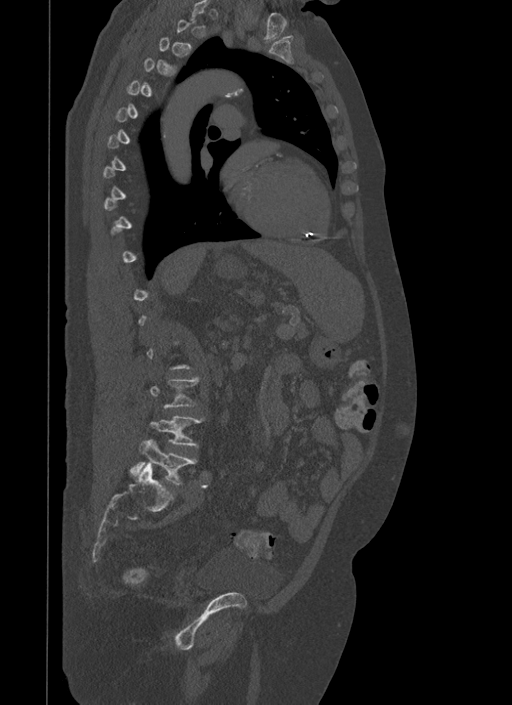

Computed tomography of the spine — 500 mm image width — sagittal reformat — bone window — 512x705 px

Boxes are (x1, y1, x2, y2) in pixels. Each vertebra is boxed only on the slices from the first to the last where its cross-section reaches a third of its largest, so a slice outside that range leaves it unboxed. Vertebrae labeled: L4 at (150, 416, 204, 446), L5 at (131, 438, 197, 484).